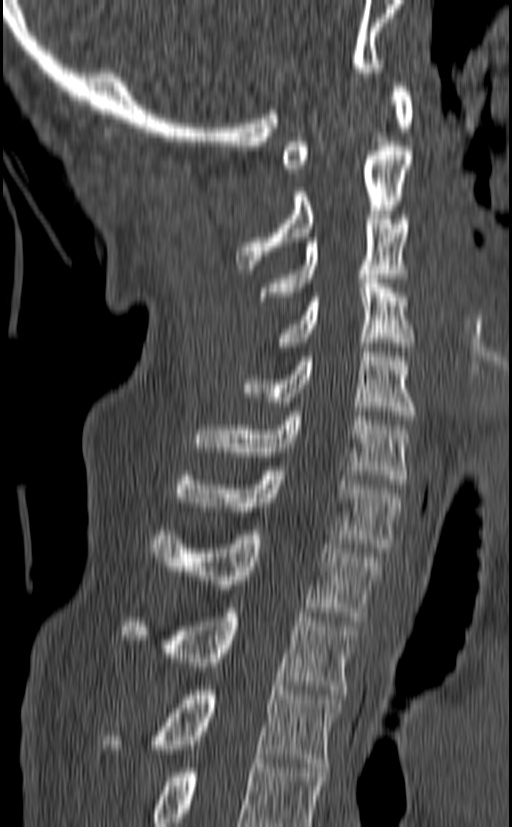

CT. sagittal view. Bone window (WL 400, WW 1800). image 140 mm wide
Bounding boxes as [x1, y1, x2, y2] in pixel coordinates.
In this scan, the topmost labeled vertebra is C1 and the lowest is T3.
Vertebra bounding boxes:
- C1: [282, 82, 414, 173]
- C2: [235, 146, 414, 269]
- C3: [259, 215, 410, 301]
- C4: [279, 274, 414, 346]
- C5: [243, 347, 417, 420]
- C6: [192, 411, 410, 484]
- C7: [173, 466, 403, 552]
- T1: [150, 530, 381, 621]
- T2: [121, 608, 359, 694]
- T3: [103, 686, 340, 767]